Computed tomography of the spine · Sagittal slice 67/160 · 9 vertebrae labeled in this scan · part of the image has been replaced by a constant value
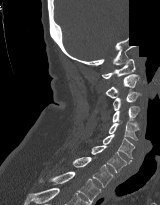 <vertebrae><v name="C1" x1="102" y1="59" x2="135" y2="78"/><v name="C2" x1="104" y1="74" x2="139" y2="98"/><v name="C3" x1="112" y1="92" x2="141" y2="110"/><v name="C4" x1="112" y1="106" x2="139" y2="122"/><v name="C5" x1="108" y1="120" x2="139" y2="140"/><v name="C6" x1="103" y1="134" x2="134" y2="159"/><v name="C7" x1="91" y1="145" x2="131" y2="172"/><v name="T1" x1="72" y1="156" x2="113" y2="187"/><v name="T2" x1="39" y1="171" x2="101" y2="204"/></vertebrae>